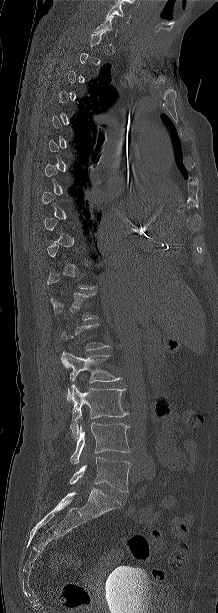

CT — sagittal view — 218x613 px
A vertebra gets a box only on the slices from the first to the last where its cross-section is at least a third of its largest; on a slice outside that range it gets none.
<vertebrae><v name="L2" x1="61" y1="352" x2="121" y2="400"/><v name="L3" x1="70" y1="384" x2="128" y2="438"/><v name="L4" x1="70" y1="422" x2="130" y2="463"/><v name="L5" x1="70" y1="457" x2="130" y2="492"/></vertebrae>